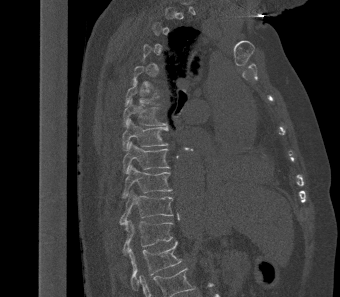 CT, spine — sagittal view — 340x297 px
Boxes: x1 y1 x2 y2 (pixel coords, space-separated). A vertebra is boxed only from the first to the last slice where its cross-section is at least a third of its largest; slices outside that range leave it without a box. The labeled vertebrae in this slice are: T7 at 122 98 167 129, T8 at 122 118 168 151, T9 at 122 141 169 173, T10 at 122 164 172 198, T11 at 119 190 173 225, T12 at 122 219 173 253, L1 at 128 241 181 290.